Computed tomography of the spine. sagittal reformat. bone window. image 250 mm wide. 250x325 px. scan covers 7 annotated vertebrae
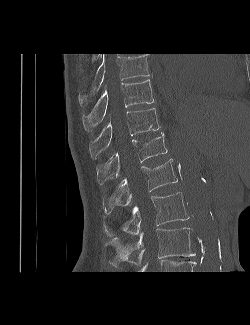 Boxes: x1 y1 x2 y2 (pixel coords, space-separated).
The highest labeled vertebra in this scan is T9; the lowest is L3.
T9: 92 54 150 93
T10: 82 79 153 130
T11: 89 108 160 159
T12: 96 133 167 184
L1: 102 158 178 214
L2: 103 192 189 236
L3: 104 228 195 266